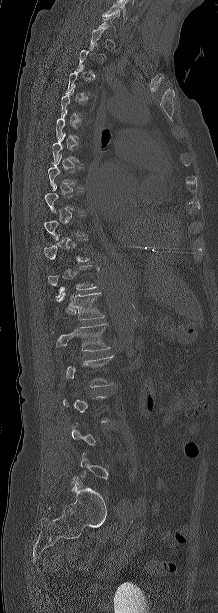 Computed tomography of the spine. sagittal view
Box edges are left/top/right/bottom in pixels.
A vertebra is boxed only from the first to the last slice where its cross-section is at least a third of its largest; slices outside that range leave it without a box.
T12: left=58, top=293, right=104, bottom=319
L1: left=56, top=323, right=110, bottom=351